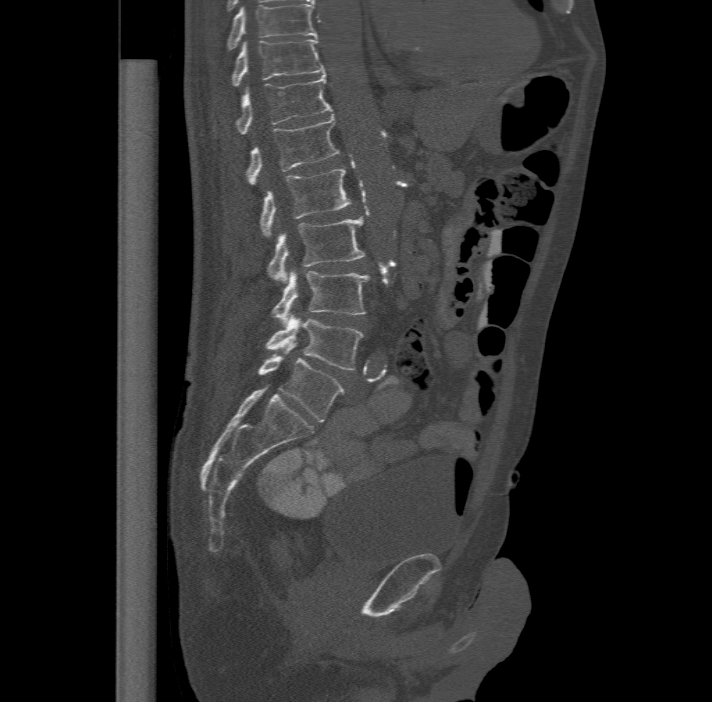

CT, spine · sagittal reformat · W/L 1800/400 HU · 712x702 px · 477 mm across the image

Boxes are (x1, y1, x2, y2) in pixels.
This scan's labels start at T11 at the top and end at L6 at the bottom.
These labels give the spine a sixth lumbar vertebra, L6, below L5.
T11: (231, 39, 324, 85)
T12: (236, 73, 331, 133)
L1: (246, 113, 340, 184)
L2: (260, 165, 351, 236)
L3: (267, 216, 365, 281)
L4: (273, 268, 369, 324)
L5: (266, 313, 363, 370)
L6: (259, 342, 344, 421)